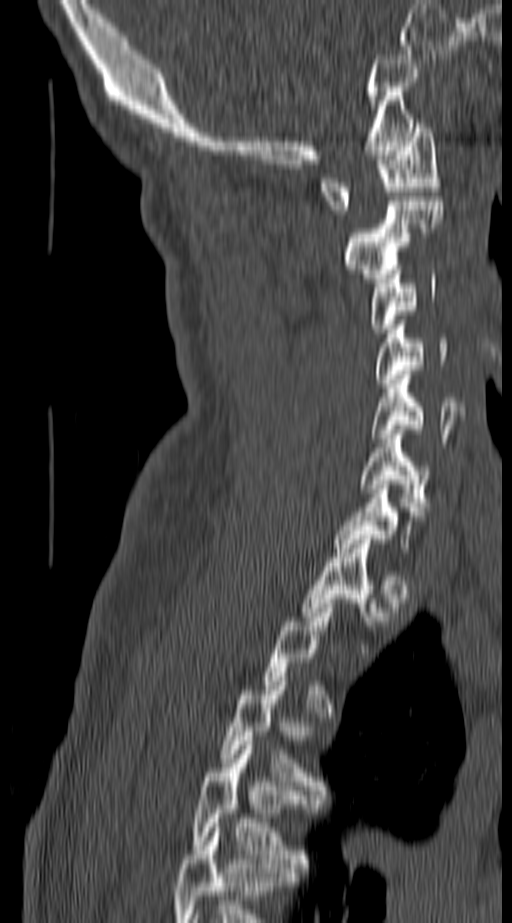
Spine CT · sagittal reformat · Bone window (WL 400, WW 1800) · 512x923 px

Box edges are left/top/right/bottom in pixels.
Each vertebra is boxed only on the slices from the first to the last where its cross-section reaches a third of its largest, so a slice outside that range leaves it unboxed.
Labels in this scan begin with C1 at the top and end with T4 at the bottom.
C1: left=323, top=123, right=441, bottom=214
C2: left=345, top=201, right=443, bottom=282
C3: left=371, top=270, right=436, bottom=333
C4: left=374, top=325, right=451, bottom=383
C5: left=371, top=370, right=465, bottom=442
C6: left=360, top=430, right=430, bottom=511
T3: left=221, top=677, right=322, bottom=790
T4: left=192, top=741, right=308, bottom=868